CT spine; sagittal reformat
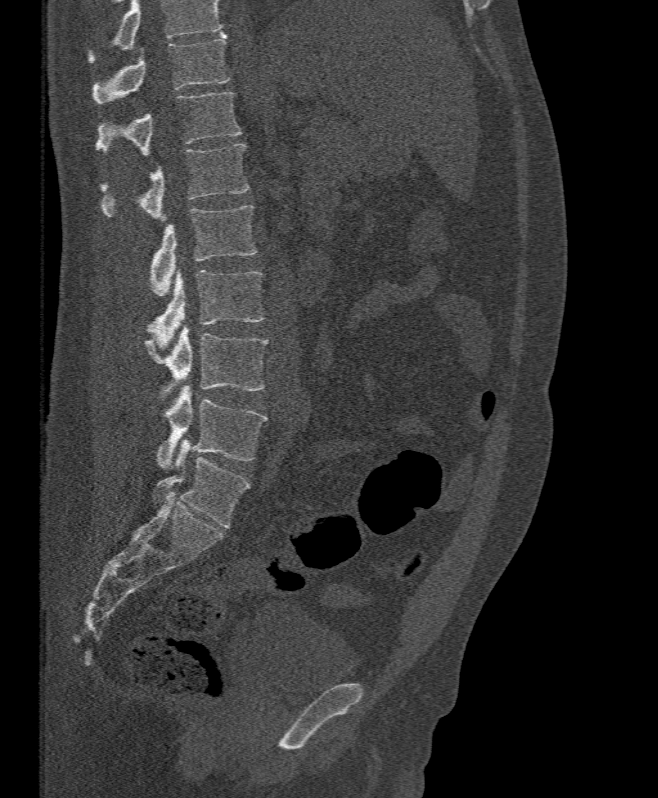
Coordinates as <box>x1,y1,x2,y2</box>. No box is given to a vertebra that the top edge of the scan cuts off. The labeled vertebrae in this slice are: T11 at <box>93,32,230,104</box>, T12 at <box>95,92,241,156</box>, L1 at <box>100,143,248,220</box>, L2 at <box>150,205,257,296</box>, L3 at <box>148,270,264,350</box>, L4 at <box>144,327,268,404</box>, L5 at <box>157,385,268,469</box>.